Computed tomography of the spine — sagittal view — bone window — 375 mm image width
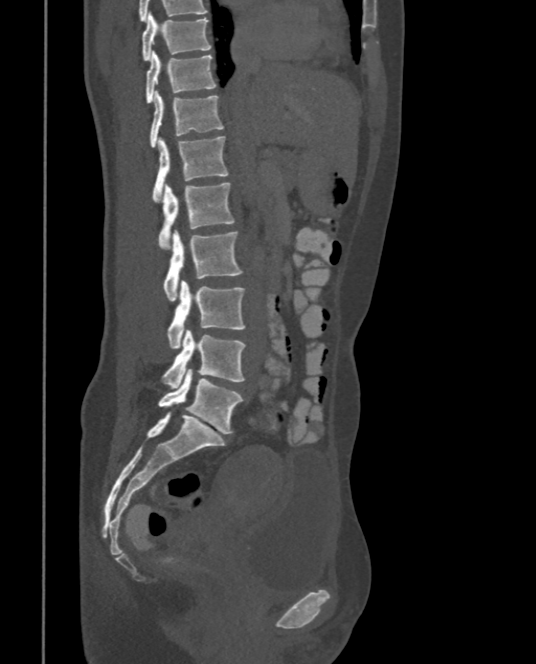 Coordinates as <box>x1,y1,x2,y2</box>. Vertebrae labeled: L5 at <box>158,368,243,433</box>, L4 at <box>162,330,246,387</box>, L3 at <box>167,280,246,347</box>, L2 at <box>162,230,243,300</box>, L1 at <box>158,183,234,250</box>, T12 at <box>153,136,229,202</box>, T11 at <box>150,93,225,147</box>, T10 at <box>145,51,216,105</box>, T9 at <box>141,13,211,60</box>.